CT, spine — sagittal reformat — 430 mm image width
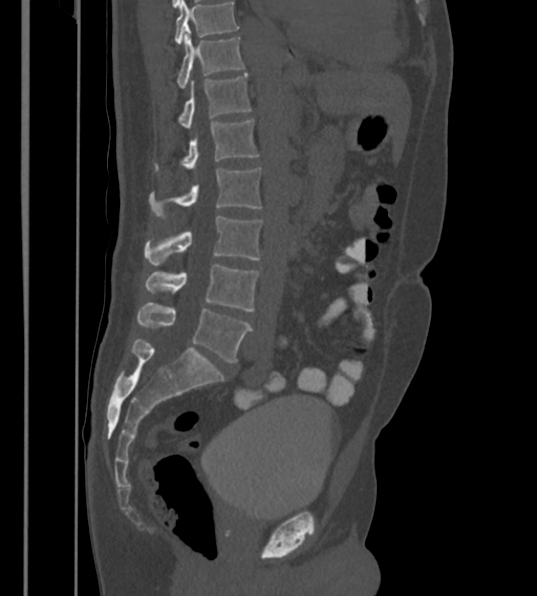

The highest labeled vertebra in this scan is T12; the lowest is L6.
The labels name a sixth lumbar vertebra for this spine: L6, after L5.
<vertebrae><v name="T12" x1="177" y1="36" x2="244" y2="88"/><v name="L1" x1="180" y1="72" x2="252" y2="128"/><v name="L2" x1="180" y1="119" x2="259" y2="170"/><v name="L3" x1="150" y1="167" x2="261" y2="215"/><v name="L4" x1="145" y1="216" x2="262" y2="265"/><v name="L5" x1="145" y1="264" x2="259" y2="311"/><v name="L6" x1="137" y1="302" x2="252" y2="363"/></vertebrae>